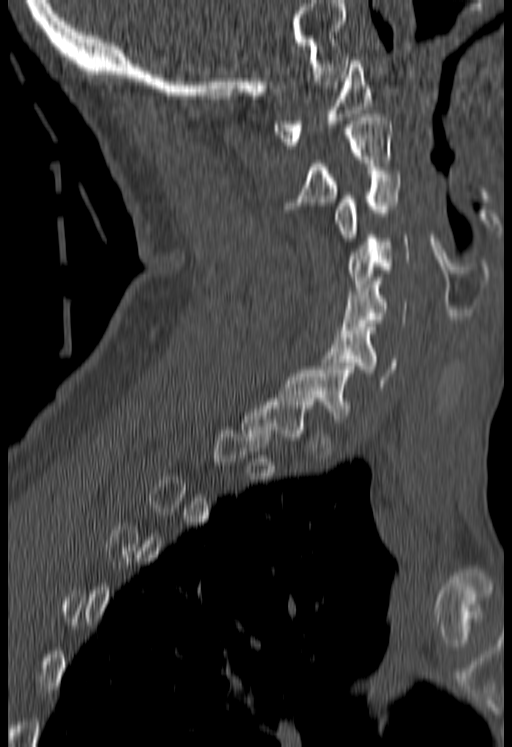

CT — sagittal view — 512x747 px
Each vertebra is boxed only on the slices from the first to the last where its cross-section reaches a third of its largest, so a slice outside that range leaves it unboxed.
<vertebrae><v name="C1" x1="274" y1="60" x2="373" y2="148"/><v name="C2" x1="300" y1="114" x2="392" y2="205"/><v name="C3" x1="334" y1="174" x2="399" y2="241"/><v name="C4" x1="346" y1="235" x2="409" y2="294"/><v name="C5" x1="339" y1="277" x2="406" y2="333"/><v name="C6" x1="322" y1="324" x2="396" y2="387"/></vertebrae>